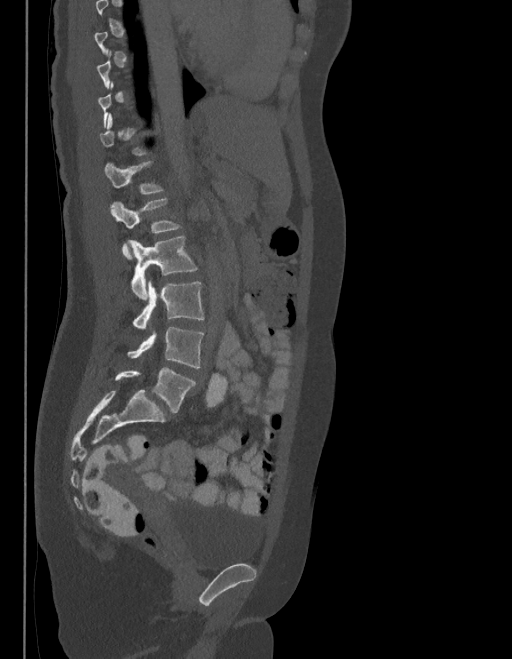 Computed tomography of the spine; sagittal reformat; bone window; image width 403 mm
In the table, x1 and y1 are a box's top-left corner and x2 and y2 its bottom-right corner, in pixels.
Each vertebra is boxed only on the slices from the first to the last where its cross-section reaches a third of its largest, so a slice outside that range leaves it unboxed.
The labels name a sixth lumbar vertebra for this spine: L6, after L5.
| vertebra | x1 | y1 | x2 | y2 |
|---|---|---|---|---|
| L1 | 104 | 162 | 161 | 195 |
| L2 | 112 | 199 | 178 | 257 |
| L3 | 128 | 236 | 196 | 300 |
| L4 | 133 | 280 | 203 | 329 |
| L5 | 128 | 327 | 203 | 368 |
| L6 | 115 | 368 | 195 | 413 |